CT, spine; Sagittal slice 256/512; Bone window (WL 400, WW 1800); 512x880 px; scan covers 19 annotated vertebrae
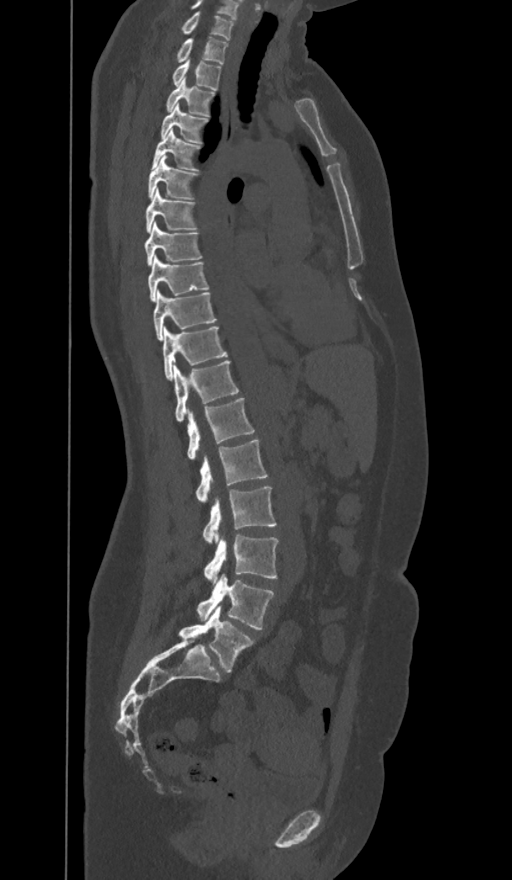
Each box given as x1,y1,x2,y2.
In these labels the spine has an L6, a sixth lumbar vertebra below L5.
| vertebra | x1 | y1 | x2 | y2 |
|---|---|---|---|---|
| C7 | 182 | 12 | 233 | 40 |
| T1 | 176 | 37 | 227 | 63 |
| T2 | 172 | 60 | 221 | 89 |
| T3 | 167 | 79 | 214 | 116 |
| T4 | 160 | 105 | 208 | 142 |
| T5 | 152 | 129 | 200 | 170 |
| T6 | 148 | 155 | 197 | 200 |
| T7 | 145 | 189 | 196 | 233 |
| T8 | 145 | 222 | 201 | 265 |
| T9 | 148 | 255 | 208 | 301 |
| T10 | 153 | 291 | 216 | 339 |
| T11 | 163 | 327 | 226 | 380 |
| T12 | 174 | 361 | 238 | 422 |
| L1 | 187 | 398 | 253 | 459 |
| L2 | 196 | 439 | 267 | 503 |
| L3 | 202 | 485 | 277 | 544 |
| L4 | 204 | 535 | 278 | 583 |
| L5 | 197 | 574 | 274 | 630 |
| L6 | 178 | 606 | 253 | 672 |